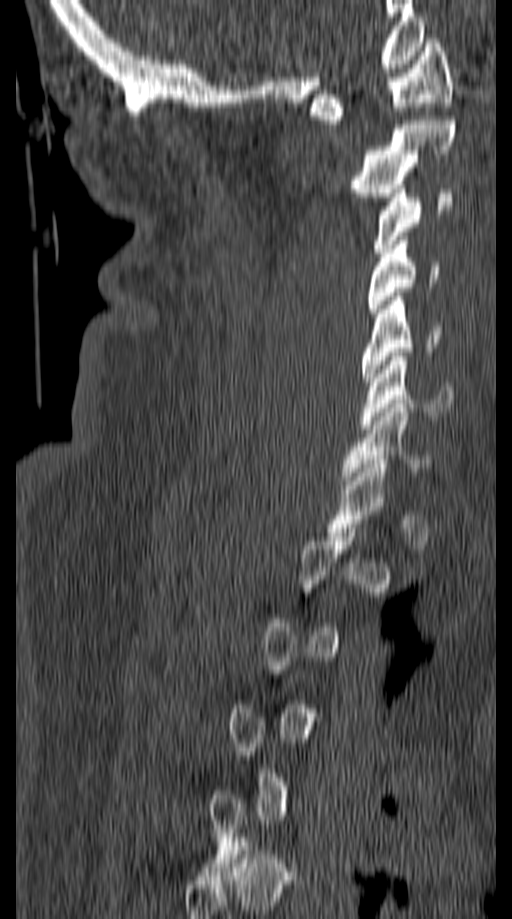

CT, spine · sagittal reformat · Bone window (WL 400, WW 1800). Boxes: x1:y1:x2:y2 in pixels.
Not every vertebra on this slice has a box: a vertebra is boxed only from the first to the last slice where its cross-section is at least a third of its largest, and this slice is outside that range for at least one of them.
Vertebra bounding boxes:
- C1: 310:39:451:124
- C2: 352:120:454:197
- C3: 372:189:452:257
- C4: 367:241:440:313
- C5: 362:292:440:386
- C6: 362:352:454:429
- C7: 340:399:433:480